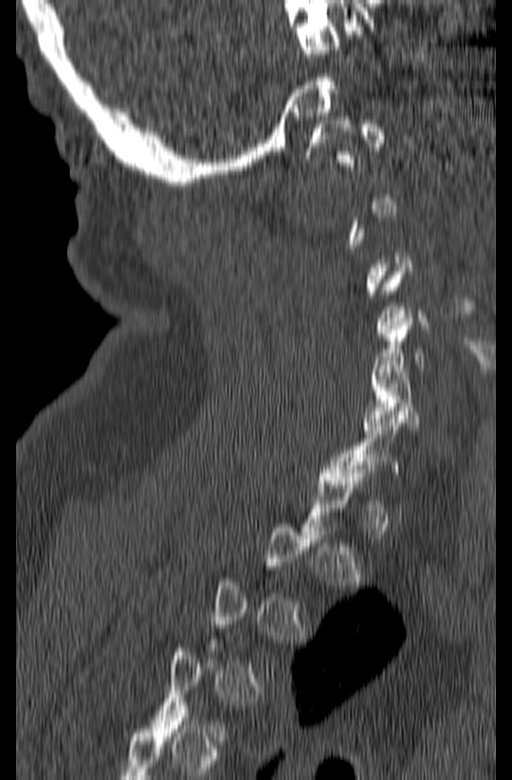 Spine CT; sagittal reformat. Boxes are (x1, y1, x2, y2) in pixels.
A vertebra gets a box only on the slices from the first to the last where its cross-section is at least a third of its largest; on a slice outside that range it gets none.
C1: (304, 120, 385, 166)
C6: (361, 368, 419, 433)